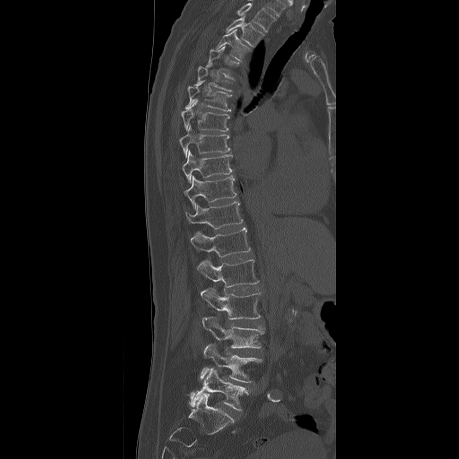 Spine CT — sagittal reformat
Each row gives a vertebra's box as x1, y1, x2, y2 in pixels: top-left corner, then bottom-right corner.
Labels in this scan begin with T2 at the top and end with L5 at the bottom.
| vertebra | x1 | y1 | x2 | y2 |
|---|---|---|---|---|
| L5 | 188 | 367 | 249 | 410 |
| L4 | 199 | 343 | 263 | 382 |
| L3 | 201 | 316 | 264 | 348 |
| L2 | 200 | 287 | 260 | 319 |
| L1 | 197 | 258 | 258 | 287 |
| T12 | 190 | 228 | 250 | 257 |
| T11 | 186 | 202 | 243 | 229 |
| T10 | 184 | 176 | 236 | 207 |
| T9 | 182 | 151 | 232 | 183 |
| T8 | 179 | 126 | 230 | 155 |
| T7 | 181 | 100 | 229 | 131 |
| T6 | 184 | 80 | 232 | 111 |
| T5 | 197 | 62 | 233 | 91 |
| T4 | 205 | 46 | 241 | 80 |
| T3 | 215 | 29 | 249 | 61 |
| T2 | 226 | 18 | 263 | 46 |